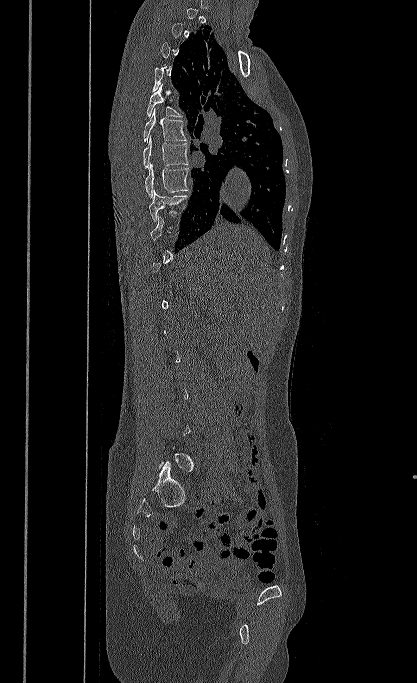 CT, spine — sagittal reformat — bone-window reconstruction. Each row gives a vertebra's box as x1, y1, x2, y2 in pixels: top-left corner, then bottom-right corner.
Each vertebra is boxed only on the slices from the first to the last where its cross-section reaches a third of its largest, so a slice outside that range leaves it unboxed.
| vertebra | x1 | y1 | x2 | y2 |
|---|---|---|---|---|
| T5 | 146 | 84 | 181 | 117 |
| T6 | 143 | 108 | 187 | 142 |
| T7 | 143 | 135 | 188 | 168 |
| T8 | 145 | 163 | 188 | 197 |
| T9 | 149 | 189 | 190 | 222 |